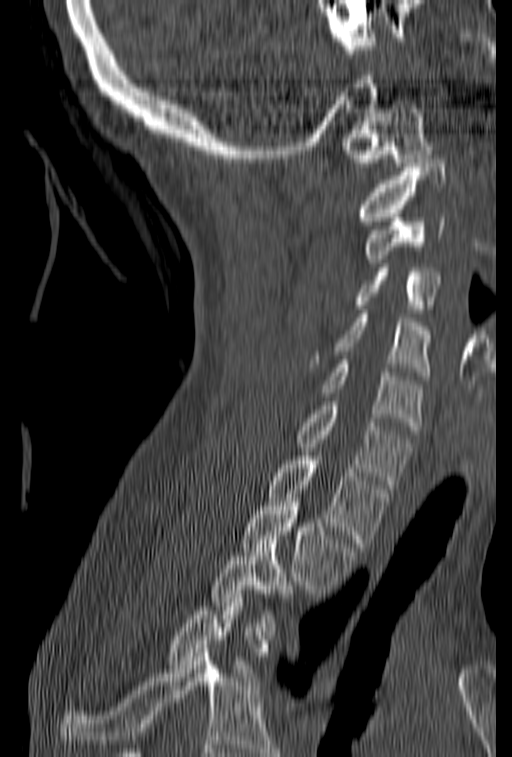
CT spine — sagittal view — 512x757 px
Each box given as x1,y1,x2,y2. A vertebra is boxed only from the first to the last slice where its cross-section is at least a third of its largest; slices outside that range leave it without a box. 10 vertebrae labeled — C1 at x1=341, y1=105, x2=432, y2=166; C2 at x1=359, y1=159, x2=445, y2=225; C3 at x1=363, y1=209, x2=445, y2=263; C4 at x1=354, y1=264, x2=439, y2=313; C5 at x1=307, y1=310, x2=432, y2=380; C6 at x1=320, y1=360, x2=422, y2=430; C7 at x1=296, y1=397, x2=412, y2=488; T1 at x1=267, y1=452, x2=392, y2=547; T2 at x1=240, y1=498, x2=355, y2=593; T3 at x1=210, y1=535, x2=293, y2=635.